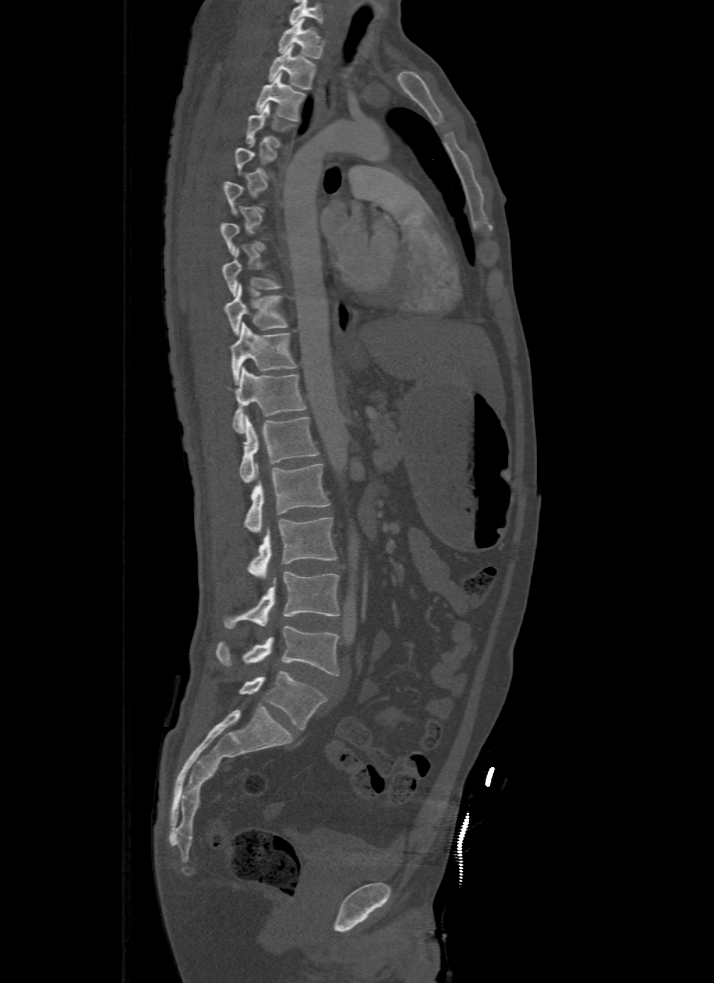 Spine CT. sagittal view. bone window
Boxes: x1 y1 x2 y2 (pixel coords, space-separated). A vertebra is boxed only from the first to the last slice where its cross-section is at least a third of its largest; slices outside that range leave it without a box. This scan's labels start at T1 at the top and end at L5 at the bottom. 14 vertebrae labeled — T1 at 278 17 324 58; T2 at 266 46 316 89; T3 at 254 73 306 121; T4 at 246 103 296 148; T8 at 222 249 282 295; T9 at 226 283 288 335; T10 at 232 323 298 384; T11 at 226 368 306 433; T12 at 239 415 318 482; L1 at 243 463 330 532; L2 at 246 518 337 577; L3 at 222 572 341 628; L4 at 216 626 339 675; L5 at 239 670 325 729.